Computed tomography of the spine — sagittal plane, index 40
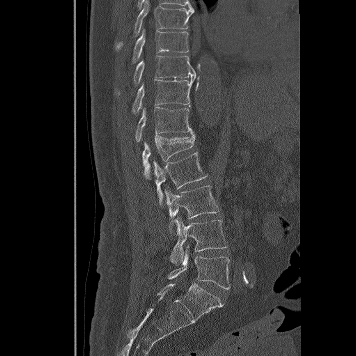
Each box given as x1,y1,x2,y2.
Vertebra bounding boxes:
- L5: x1=168, y1=246, x2=229, y2=289
- L4: x1=170, y1=217, x2=226, y2=265
- L3: x1=164, y1=185, x2=218, y2=233
- L2: x1=153, y1=152, x2=207, y2=205
- L1: x1=142, y1=133, x2=195, y2=179
- T12: x1=135, y1=106, x2=194, y2=141
- T11: x1=132, y1=77, x2=195, y2=112
- T10: x1=115, y1=55, x2=196, y2=95
- T9: x1=131, y1=29, x2=188, y2=64
- T8: x1=133, y1=0, x2=194, y2=36